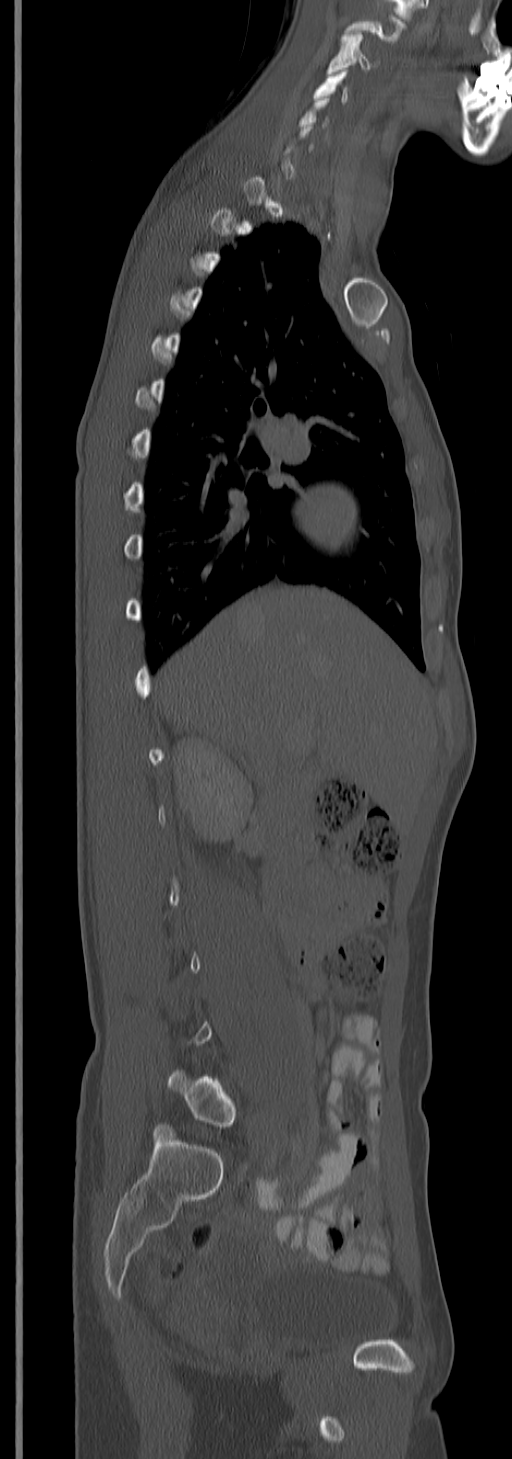

CT — sagittal view — the image spans 245 mm across — bone-window reconstruction
Box values are [left, top, right, bottom] in pixels.
A vertebra is boxed only from the first to the last slice where its cross-section is at least a third of its largest; slices outside that range leave it without a box.
Labels in this scan begin with C3 at the top and end with L5 at the bottom.
{"vertebrae":{"L5":[168,1069,236,1127],"C4":[314,70,349,102],"C3":[327,32,372,73]}}